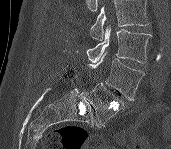 Spine computed tomography · image width 171 mm · sagittal view
Columns x1, y1, x2, y2 give each box's top-left and bottom-right pixels.
A vertebra cut off by the top edge of the scan is not labeled and has no box.
| vertebra | x1 | y1 | x2 | y2 |
|---|---|---|---|---|
| L3 | 87 | 25 | 151 | 63 |
| L4 | 86 | 52 | 145 | 101 |
| L5 | 82 | 83 | 124 | 127 |